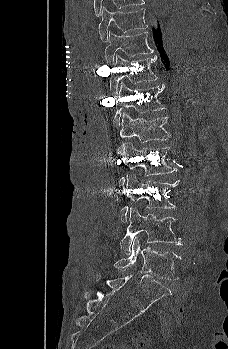 CT, spine; sagittal view
Box edges are left/top/right/bottom in pixels.
Vertebra bounding boxes:
- T9: left=99, top=6, right=148, bottom=41
- T10: left=105, top=31, right=154, bottom=65
- T11: left=109, top=54, right=158, bottom=97
- T12: left=111, top=81, right=165, bottom=128
- L1: left=118, top=112, right=170, bottom=154
- L2: left=119, top=142, right=177, bottom=185
- L3: left=119, top=174, right=179, bottom=222
- L4: left=120, top=207, right=184, bottom=254
- L5: left=113, top=236, right=181, bottom=279